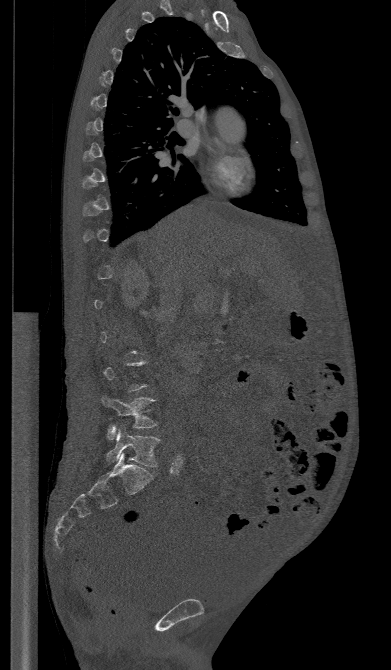 Spine CT; sagittal view; image width 391 mm; W/L 1800/400 HU
Each box is [x1, y1, x2, y2] in pixels: top-left corner, then bottom-right corner.
A vertebra gets a box only on the slices from the first to the last where its cross-section is at least a third of its largest; on a slice outside that range it gets none.
{"vertebrae":{"L4":[102,397,156,440],"L5":[106,428,159,467]}}